Spine computed tomography; Sagittal slice 269/512; image width 153 mm; bone window
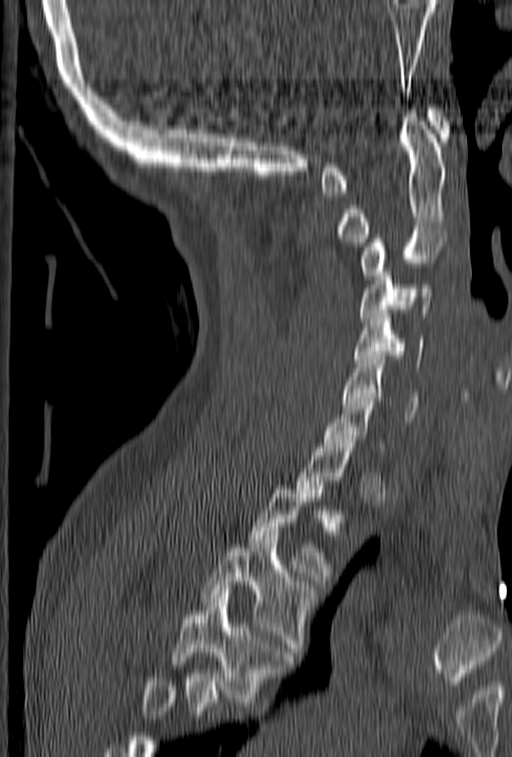 Boxes are (x1, y1, x2, y2) in pixels. Not every vertebra on this slice has a box: a vertebra is boxed only from the first to the last slice where its cross-section is at least a third of its largest, and this slice is outside that range for at least one of them. Where the bottom of the scan cuts through a vertebra, that vertebra gets no label or box. 10 vertebrae labeled — T4 at (171, 590, 292, 702); T3 at (202, 540, 317, 656); T2 at (248, 485, 334, 580); C7 at (322, 389, 384, 451); C6 at (343, 356, 418, 421); C5 at (353, 310, 425, 371); C4 at (359, 264, 432, 325); C3 at (359, 230, 447, 279); C2 at (338, 109, 445, 246); C1 at (320, 105, 451, 196).